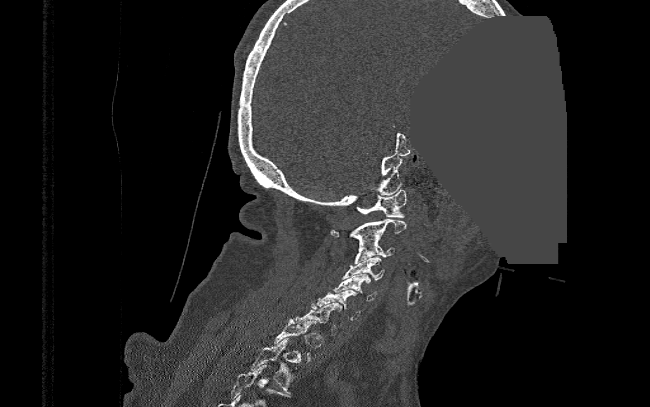
Spine computed tomography — sagittal reformat — bone-window reconstruction — a region of this slice is masked with a uniform fill
Not every vertebra on this slice has a box: a vertebra is boxed only from the first to the last slice where its cross-section is at least a third of its largest, and this slice is outside that range for at least one of them.
<vertebrae><v name="C1" x1="355" y1="190" x2="407" y2="217"/><v name="C2" x1="330" y1="219" x2="407" y2="245"/><v name="C3" x1="354" y1="239" x2="395" y2="263"/><v name="C4" x1="343" y1="256" x2="384" y2="280"/><v name="C5" x1="333" y1="274" x2="376" y2="301"/><v name="C6" x1="311" y1="290" x2="361" y2="320"/><v name="C7" x1="296" y1="303" x2="342" y2="331"/><v name="T2" x1="248" y1="338" x2="295" y2="393"/></vertebrae>